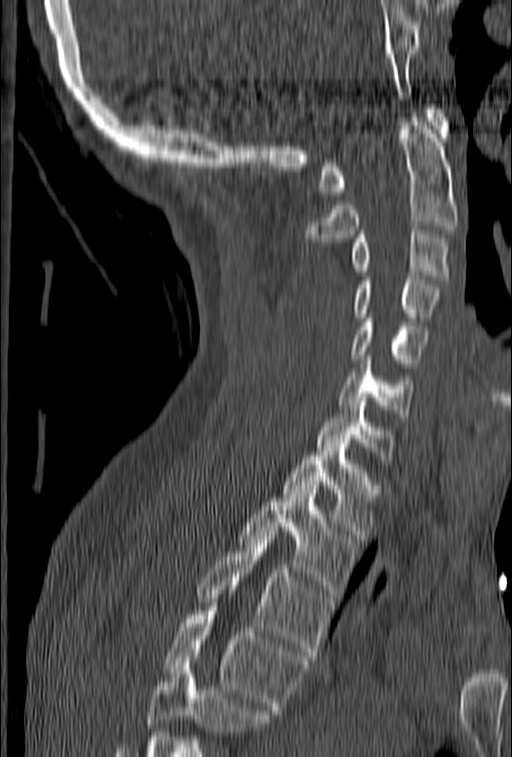

CT — sagittal view — 153 mm across the image — 512x757 px
Boxes below are [x1, y1, x2, y2] in pixels.
A vertebra cut off by the bottom edge of the scan is not labeled and has no box.
{"vertebrae":{"C1":[319,105,450,196],"C2":[304,109,458,242],"C3":[349,230,451,283],"C4":[353,276,439,321],"C5":[349,314,429,367],"C6":[339,356,414,417],"C7":[316,393,395,463],"T1":[281,448,379,539],"T2":[238,489,358,597],"T3":[196,531,331,660],"T4":[161,607,307,714]}}